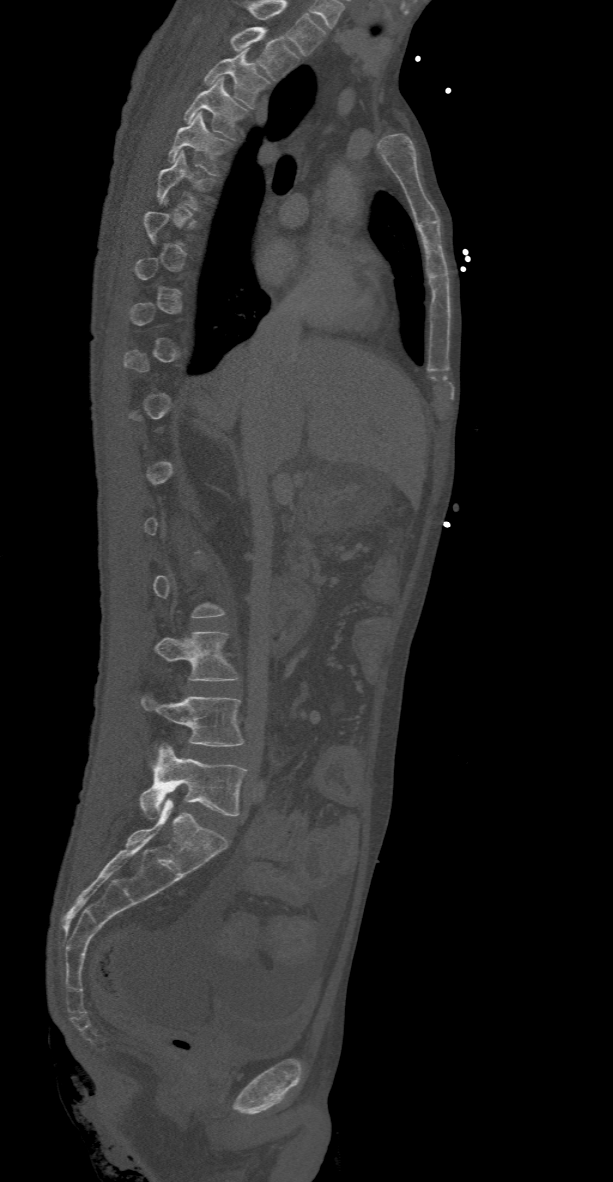
CT · sagittal view · 613x1182 px · the image is 368 mm wide

A vertebra is boxed only from the first to the last slice where its cross-section is at least a third of its largest; slices outside that range leave it without a box.
This scan's labels start at T2 at the top and end at L5 at the bottom.
<vertebrae><v name="L5" x1="140" y1="744" x2="247" y2="818"/><v name="L4" x1="141" y1="696" x2="243" y2="746"/><v name="L3" x1="155" y1="632" x2="239" y2="680"/><v name="T6" x1="157" y1="151" x2="212" y2="210"/><v name="T5" x1="168" y1="112" x2="231" y2="174"/><v name="T4" x1="183" y1="77" x2="247" y2="140"/><v name="T3" x1="204" y1="49" x2="271" y2="108"/><v name="T2" x1="230" y1="27" x2="298" y2="80"/></vertebrae>